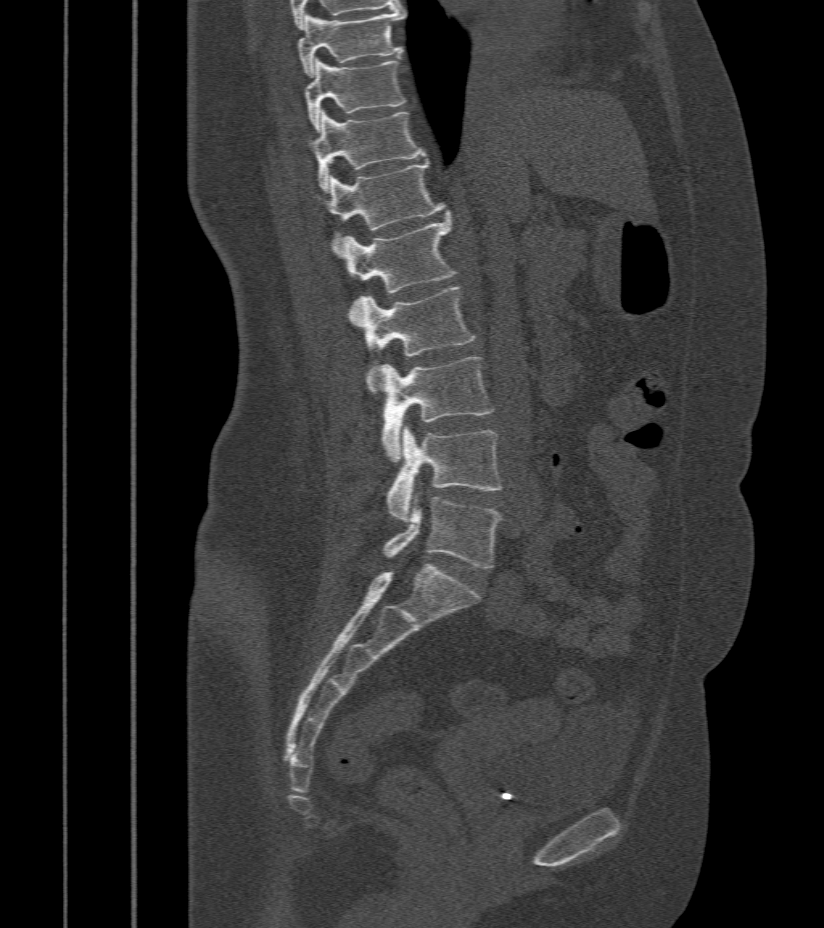

CT — sagittal view — 824x928 px
Each vertebra maps to its box as [x1, y1, x2, y2], the pixel coordinates of its top-left and bottom-right corners.
{"vertebrae":{"L5":[383,493,501,568],"L4":[386,425,503,522],"L3":[381,357,495,462],"L2":[357,287,475,394],"L1":[338,215,454,309],"T12":[323,161,446,250],"T11":[309,111,425,190],"T10":[304,57,405,130],"T9":[298,9,405,76]}}